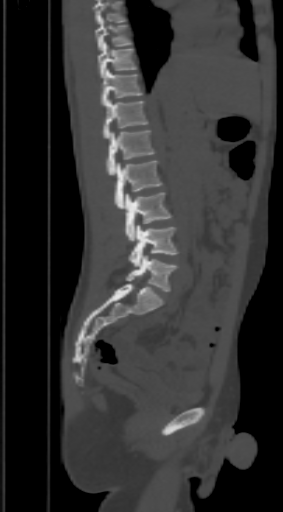

Spine computed tomography; sagittal reformat; Bone window (WL 400, WW 1800). Each box given as x1,y1,x2,y2.
No box is given to a vertebra that the top edge of the scan cuts off.
Vertebra bounding boxes:
- T9: x1=95, y1=17, x2=131, y2=50
- T10: x1=98, y1=41, x2=136, y2=77
- T11: x1=101, y1=69, x2=142, y2=106
- T12: x1=104, y1=99, x2=147, y2=139
- L1: x1=106, y1=130, x2=156, y2=175
- L2: x1=115, y1=160, x2=161, y2=209
- L3: x1=126, y1=193, x2=170, y2=240
- L4: x1=129, y1=225, x2=178, y2=267
- L5: x1=126, y1=255, x2=175, y2=291